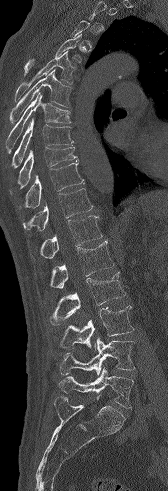 Spine computed tomography — sagittal view — bone-window reconstruction — 168x491 px
Bounding boxes as [x1, y1, x2, y2] in pixel coordinates. Not every vertebra on this slice has a box: a vertebra is boxed only from the first to the last slice where its cross-section is at least a third of its largest, and this slice is outside that range for at least one of them. Vertebrae labeled: T4 at [24, 33, 81, 75], T5 at [15, 50, 76, 102], T6 at [9, 69, 71, 122], T7 at [6, 93, 71, 153], T8 at [11, 119, 73, 168], T9 at [17, 147, 77, 188], T10 at [25, 162, 84, 207], T11 at [22, 188, 93, 230], T12 at [32, 215, 102, 259], L1 at [50, 241, 114, 288], L2 at [48, 272, 126, 324], L3 at [58, 305, 134, 351], L4 at [59, 338, 134, 375], L5 at [59, 368, 133, 408].